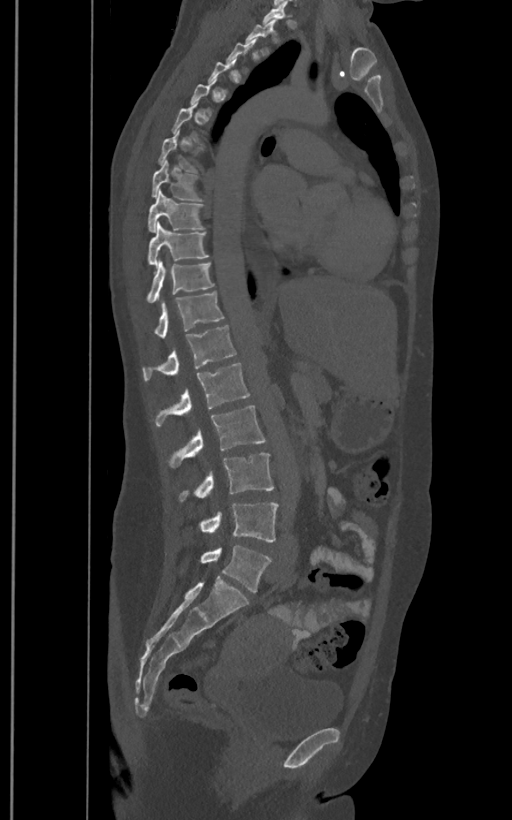

Spine CT — sagittal view — bone window — 512x820 px. Each box given as x1,y1,x2,y2.
Not every vertebra on this slice has a box: a vertebra is boxed only from the first to the last slice where its cross-section is at least a third of its largest, and this slice is outside that range for at least one of them.
The labels name a sixth lumbar vertebra for this spine: L6, after L5.
T2: x1=246, y1=18, x2=276, y2=54
T8: x1=151, y1=160, x2=202, y2=199
T9: x1=147, y1=189, x2=205, y2=232
T10: x1=147, y1=222, x2=209, y2=265
T11: x1=146, y1=262, x2=214, y2=302
T12: x1=153, y1=291, x2=224, y2=338
L1: x1=142, y1=325, x2=236, y2=381
L2: x1=153, y1=363, x2=250, y2=426
L3: x1=166, y1=406, x2=266, y2=468
L4: x1=178, y1=453, x2=274, y2=502
L5: x1=200, y1=503, x2=278, y2=542
L6: x1=200, y1=545, x2=271, y2=592